Spine computed tomography · sagittal reformat · bone-window reconstruction
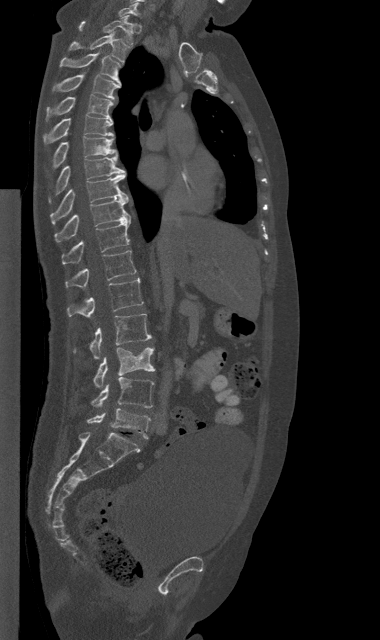 Box edges are left/top/right/bottom in pixels.
| vertebra | x1 | y1 | x2 | y2 |
|---|---|---|---|---|
| C7 | 119 | 3 | 139 | 16 |
| T1 | 79 | 15 | 133 | 43 |
| T2 | 68 | 33 | 126 | 63 |
| T3 | 59 | 53 | 120 | 84 |
| T4 | 53 | 74 | 120 | 99 |
| T5 | 45 | 94 | 112 | 119 |
| T6 | 43 | 115 | 113 | 143 |
| T7 | 52 | 136 | 117 | 168 |
| T8 | 49 | 157 | 124 | 201 |
| T9 | 50 | 173 | 128 | 223 |
| T10 | 54 | 198 | 130 | 242 |
| T11 | 62 | 220 | 130 | 264 |
| T12 | 66 | 251 | 136 | 287 |
| L1 | 67 | 278 | 143 | 317 |
| L2 | 74 | 314 | 151 | 359 |
| L3 | 93 | 347 | 155 | 387 |
| L4 | 92 | 377 | 153 | 407 |
| L5 | 87 | 408 | 150 | 438 |